Spine computed tomography — sagittal reformat — 417 mm wide — bone-window reconstruction — 417x683 px
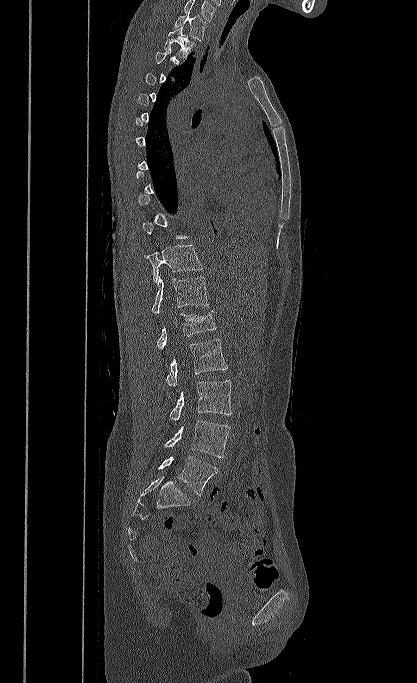

In the table, x1 and y1 are a box's top-left corner and x2 and y2 its bottom-right corner, in pixels.
A vertebra is boxed only from the first to the last slice where its cross-section is at least a third of its largest; slices outside that range leave it without a box.
The highest labeled vertebra in this scan is T1; the lowest is L5.
| vertebra | x1 | y1 | x2 | y2 |
|---|---|---|---|---|
| T1 | 174 | 11 | 207 | 40 |
| T2 | 164 | 26 | 196 | 59 |
| T11 | 144 | 245 | 202 | 282 |
| T12 | 151 | 276 | 209 | 314 |
| L1 | 157 | 311 | 216 | 349 |
| L2 | 166 | 339 | 227 | 387 |
| L3 | 170 | 380 | 231 | 420 |
| L4 | 164 | 420 | 230 | 457 |
| L5 | 158 | 456 | 218 | 495 |